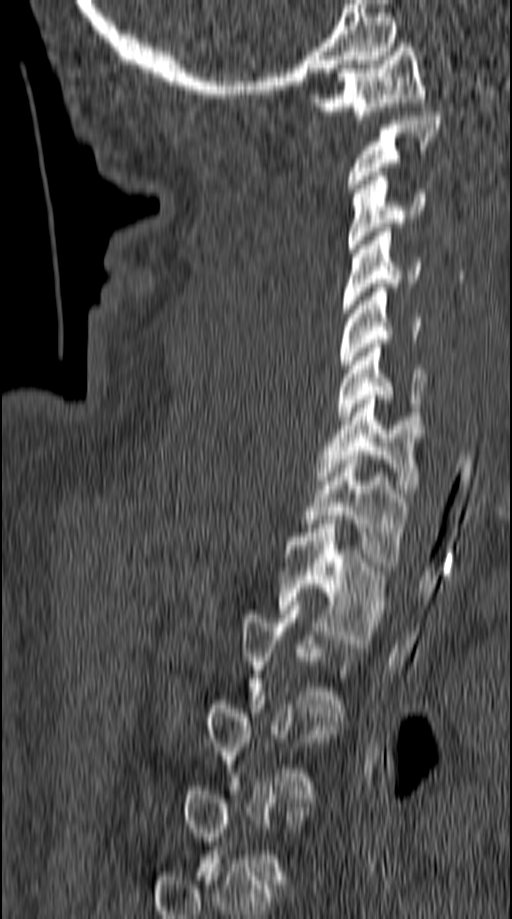 Spine computed tomography — sagittal view — 512x919 px. Each box given as x1,y1,x2,y2. Each vertebra is boxed only on the slices from the first to the last where its cross-section reaches a third of its largest, so a slice outside that range leaves it unboxed. 9 vertebrae labeled — C1 at x1=309, y1=43, x2=426, y2=119; C2 at x1=348, y1=112, x2=440, y2=192; C3 at x1=348, y1=172, x2=426, y2=252; C4 at x1=342, y1=228, x2=421, y2=313; C5 at x1=338, y1=283, x2=422, y2=368; C6 at x1=337, y1=344, x2=426, y2=420; C7 at x1=317, y1=391, x2=424, y2=493; T1 at x1=301, y1=455, x2=408, y2=566; T2 at x1=277, y1=524, x2=385, y2=643.